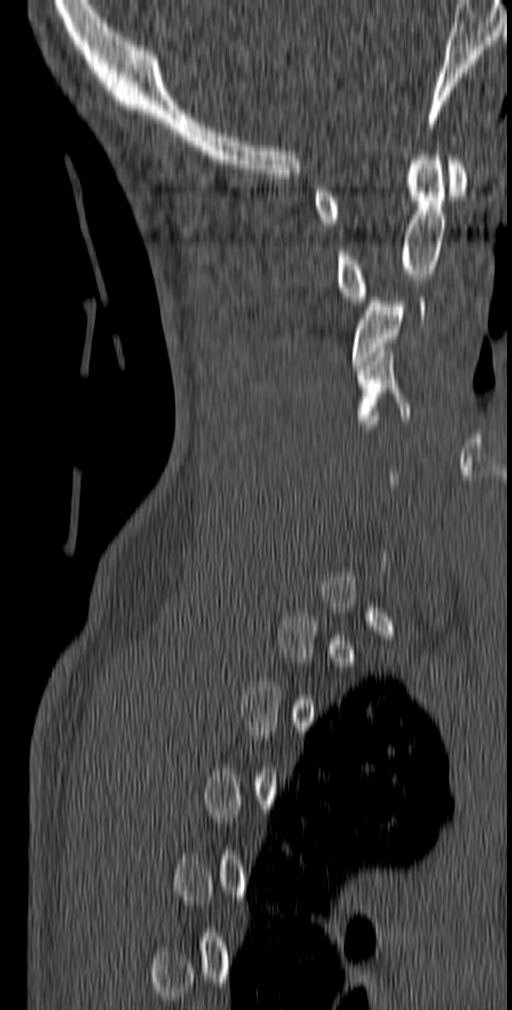

CT, spine — sagittal view — 512x1010 px
Each box is [x1, y1, x2, y2] in pixels: top-left corner, then bottom-right corner.
Not every vertebra on this slice has a box: a vertebra is boxed only from the first to the last slice where its cross-section is at least a third of its largest, and this slice is outside that range for at least one of them.
{"vertebrae":{"C1":[313,160,468,228],"C2":[336,151,445,305],"C3":[351,297,425,369],"C4":[356,347,410,424]}}